CT — sagittal reformat — 368 mm wide — bone window — 613x1182 px
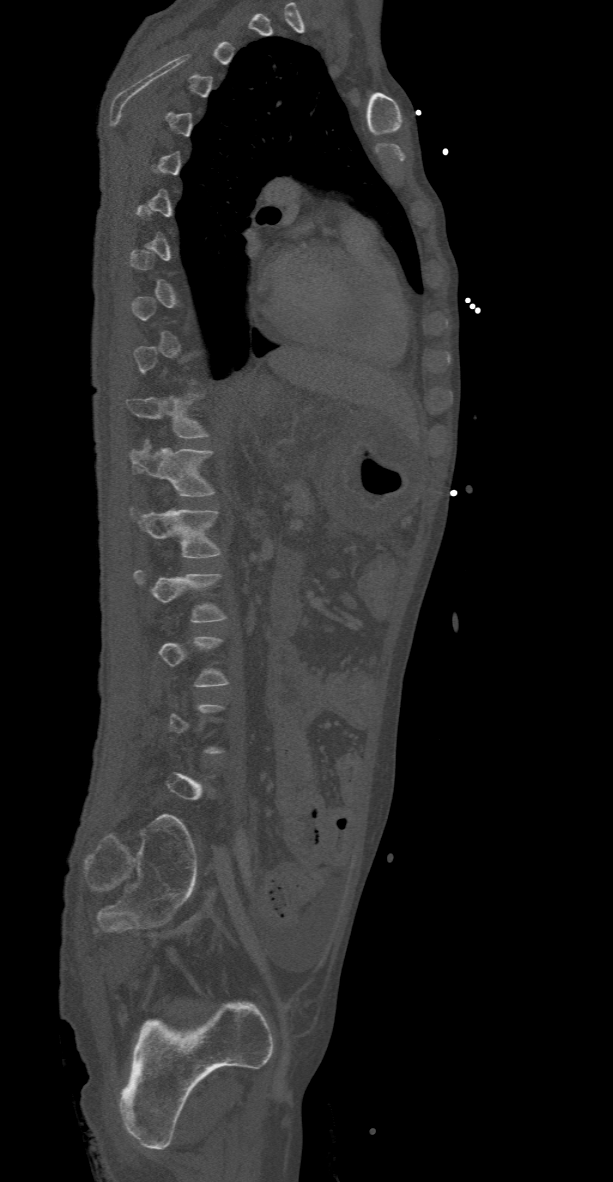 Coordinates as <box>x1,y1,x2,y2</box>. Not every vertebra on this slice has a box: a vertebra is boxed only from the first to the last slice where its cross-section is at least a third of its largest, and this slice is outside that range for at least one of them. Vertebrae labeled: T11 at <box>127,394,210,438</box>, T12 at <box>128,441,216,496</box>, L1 at <box>129,506,222,558</box>, L2 at <box>133,569,227,621</box>.